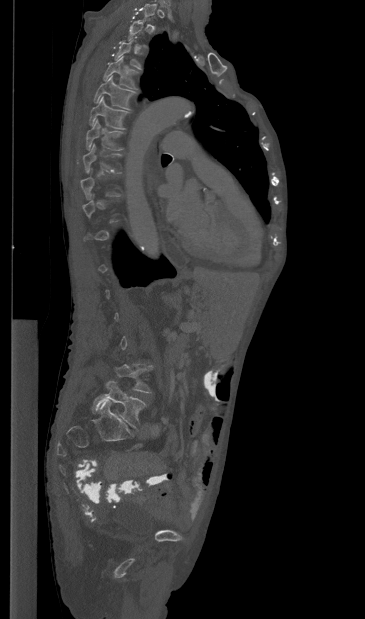

CT spine. sagittal reformat. bone window. Box edges are left/top/right/bottom in pixels.
Not every vertebra on this slice has a box: a vertebra is boxed only from the first to the last slice where its cross-section is at least a third of its largest, and this slice is outside that range for at least one of them.
L5: left=92, top=380, right=145, bottom=428
T8: left=83, top=144, right=121, bottom=173
T7: left=86, top=119, right=122, bottom=150
T6: left=89, top=96, right=129, bottom=129
T5: left=94, top=75, right=136, bottom=109
T4: left=103, top=56, right=138, bottom=89